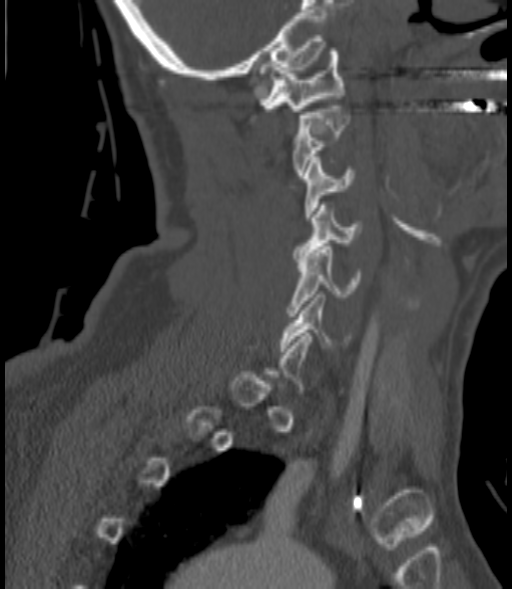

CT, spine. sagittal reformat. bone window. the image spans 200 mm across. 512x589 px
Boxes are (x1, y1, x2, y2) in pixels. A vertebra gets a box only on the slices from the first to the last where its cross-section is at least a third of its largest; on a slice outside that range it gets none. Vertebrae labeled: C6 at (280, 294, 350, 351), C5 at (288, 246, 359, 316), C4 at (295, 205, 361, 261), C3 at (304, 157, 355, 220), C2 at (293, 106, 350, 175), C1 at (258, 48, 343, 111).